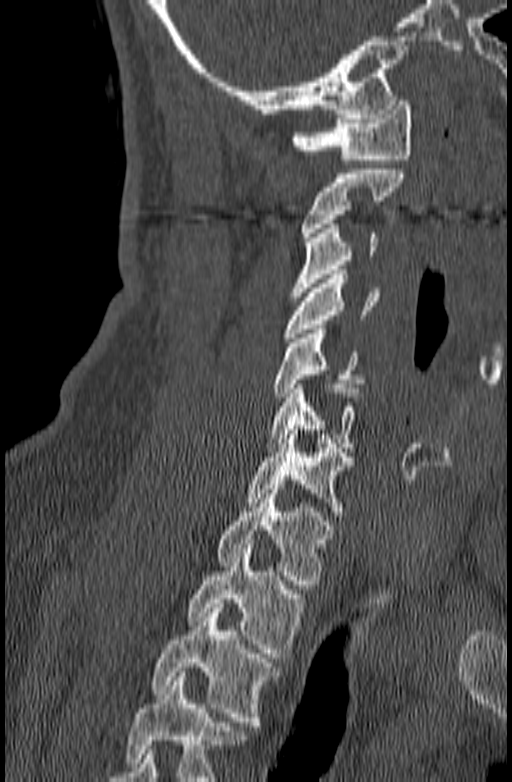

Spine computed tomography; sagittal view; image width 140 mm; 512x782 px. Boxes are given in columns x1, y1, x2, y2, the pixel coordinates of their top-left and bottom-right corners.
Where the bottom of the scan cuts through a vertebra, that vertebra gets no label or box.
| vertebra | x1 | y1 | x2 | y2 |
|---|---|---|---|---|
| C1 | 290 | 96 | 412 | 159 |
| C2 | 301 | 169 | 406 | 241 |
| C3 | 290 | 224 | 377 | 296 |
| C4 | 282 | 270 | 379 | 342 |
| C5 | 272 | 329 | 364 | 397 |
| C6 | 266 | 384 | 361 | 452 |
| C7 | 243 | 430 | 354 | 516 |
| T1 | 217 | 485 | 333 | 589 |
| T2 | 187 | 544 | 305 | 662 |
| T3 | 151 | 603 | 280 | 730 |